CT, spine; sagittal view; 512x943 px
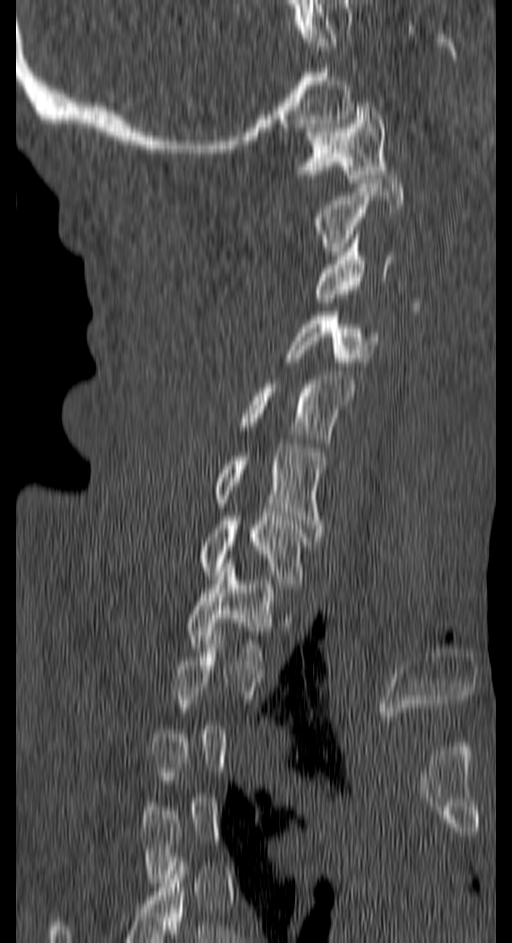
Columns x1, y1, x2, y2 give each box's top-left and bottom-right pixels.
Each vertebra is boxed only on the slices from the first to the last where its cross-section reaches a third of its largest, so a slice outside that range leaves it unboxed.
| vertebra | x1 | y1 | x2 | y2 |
|---|---|---|---|---|
| C1 | 298 | 102 | 387 | 182 |
| C2 | 315 | 175 | 403 | 255 |
| C3 | 315 | 235 | 393 | 302 |
| C4 | 283 | 311 | 379 | 366 |
| C5 | 240 | 375 | 355 | 438 |
| C6 | 213 | 444 | 324 | 537 |
| C7 | 199 | 516 | 307 | 592 |
| T1 | 186 | 563 | 276 | 660 |